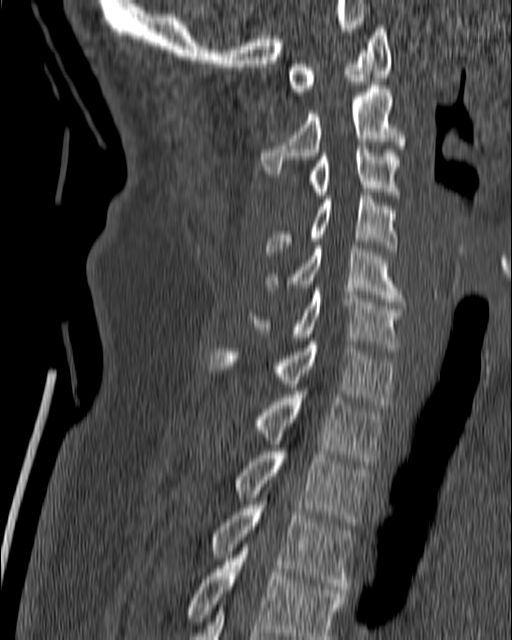 Spine computed tomography; sagittal reformat. Columns x1, y1, x2, y2 give each box's top-left and bottom-right pixels.
| vertebra | x1 | y1 | x2 | y2 |
|---|---|---|---|---|
| C1 | 287 | 25 | 391 | 91 |
| C2 | 262 | 85 | 405 | 177 |
| C3 | 309 | 146 | 399 | 195 |
| C4 | 265 | 192 | 397 | 255 |
| C5 | 268 | 245 | 402 | 305 |
| C6 | 246 | 288 | 401 | 351 |
| C7 | 211 | 341 | 395 | 408 |
| T1 | 257 | 395 | 384 | 461 |
| T2 | 237 | 448 | 370 | 529 |
| T3 | 211 | 501 | 353 | 593 |
| T4 | 186 | 544 | 344 | 639 |